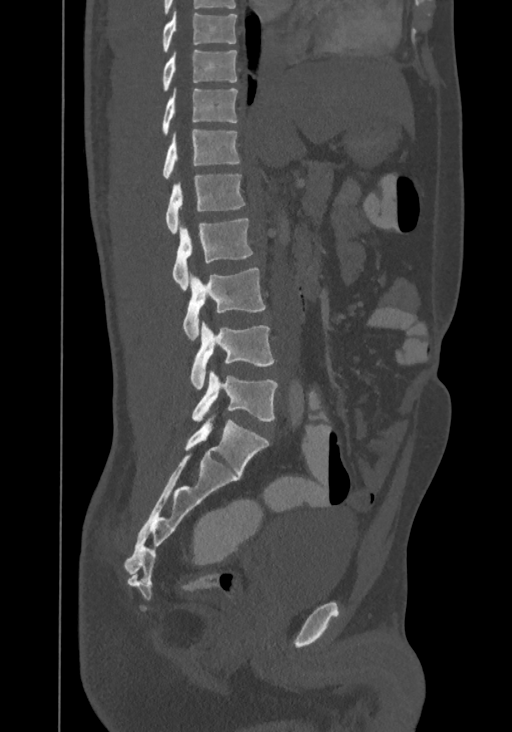 CT, spine · image width 367 mm · sagittal view · bone window · 512x732 px

Box edges are left/top/right/bottom in pixels.
The highest labeled vertebra in this scan is T8; the lowest is L4.
Vertebra bounding boxes:
- T8: left=163, top=9, right=236, bottom=52
- T9: left=162, top=49, right=237, bottom=91
- T10: left=163, top=88, right=237, bottom=135
- T11: left=163, top=129, right=240, bottom=179
- T12: left=165, top=175, right=246, bottom=234
- L1: left=172, top=218, right=253, bottom=289
- L2: left=183, top=267, right=265, bottom=341
- L3: left=191, top=320, right=274, bottom=389
- L4: left=192, top=369, right=278, bottom=421